Computed tomography of the spine; sagittal plane, index 229; 512x513 px; scan covers 14 annotated vertebrae; the image is 398 mm wide
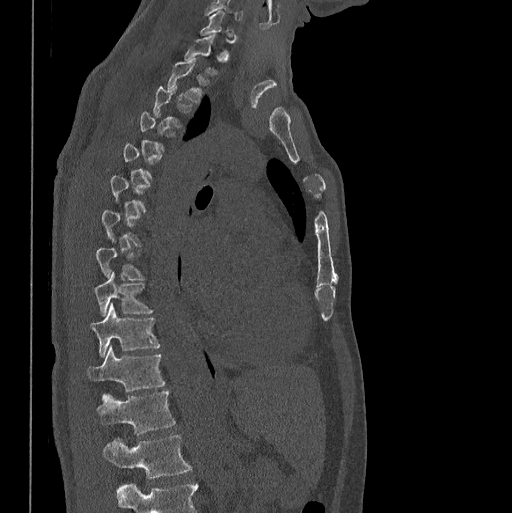

Not every vertebra on this slice has a box: a vertebra is boxed only from the first to the last slice where its cross-section is at least a third of its largest, and this slice is outside that range for at least one of them.
The highest labeled vertebra in this scan is C7; the lowest is L1.
<vertebrae><v name="T1" x1="184" y1="35" x2="216" y2="74"/><v name="T2" x1="167" y1="58" x2="208" y2="103"/><v name="T3" x1="153" y1="86" x2="191" y2="128"/><v name="T8" x1="96" y1="248" x2="144" y2="279"/><v name="T9" x1="95" y1="271" x2="153" y2="316"/><v name="T10" x1="91" y1="303" x2="160" y2="357"/><v name="T11" x1="87" y1="346" x2="165" y2="391"/><v name="T12" x1="96" y1="390" x2="175" y2="434"/><v name="L1" x1="103" y1="434" x2="192" y2="478"/></vertebrae>